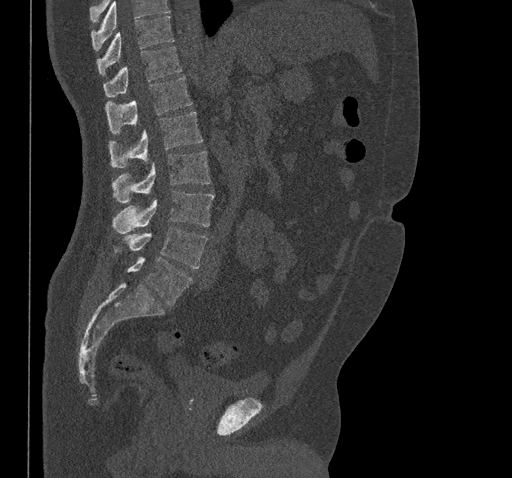 CT, spine. 461 mm image width. sagittal view. 512x478 px
Coordinates as <box>x1,y1,x2,y2</box>.
Where the top of the scan cuts through a vertebra, that vertebra gets no label or box.
T10: <box>97,16,174,75</box>
T11: <box>103,46,182,96</box>
T12: <box>105,77,192,134</box>
L1: <box>108,111,203,167</box>
L2: <box>111,150,210,203</box>
L3: <box>112,191,214,234</box>
L4: <box>113,227,207,268</box>
L5: <box>127,257,193,305</box>